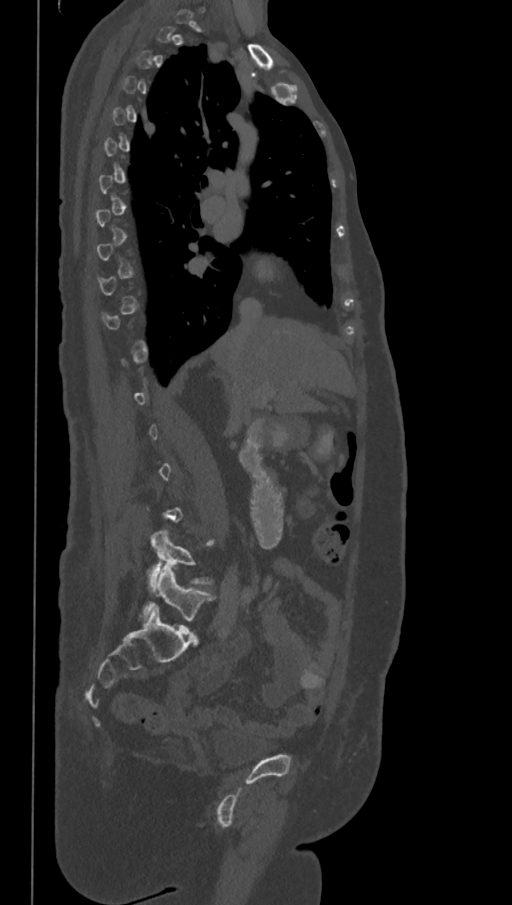

CT, spine; sagittal reformat; 512x905 px; 368 mm wide

Boxes: x1:y1:x2:y2 in pixels. Each vertebra is boxed only on the slices from the first to the last where its cross-section reaches a third of its largest, so a slice outside that range leaves it unboxed. These labels give the spine a sixth lumbar vertebra, L6, below L5. Vertebrae labeled: L5 at 149:530:212:585, L6 at 140:566:213:629.